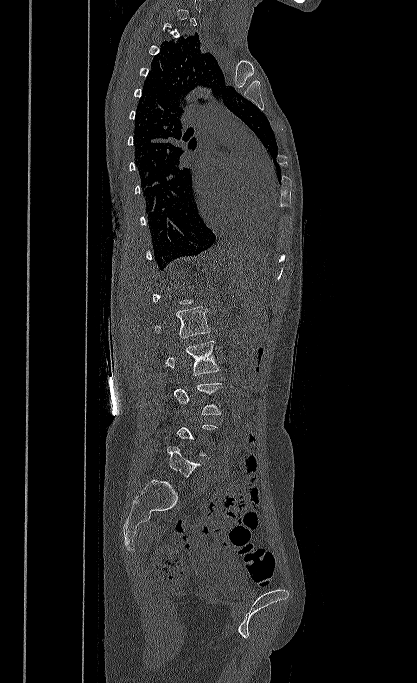
CT, spine — sagittal view — the image spans 417 mm across — bone-window reconstruction — 417x683 px
Boxes: x1:y1:x2:y2 in pixels.
Not every vertebra on this slice has a box: a vertebra is boxed only from the first to the last slice where its cross-section is at least a third of its largest, and this slice is outside that range for at least one of them.
Vertebra bounding boxes:
- L1: 154:307:210:338
- L2: 165:340:220:375
- L3: 174:383:222:414
- L5: 167:445:202:477